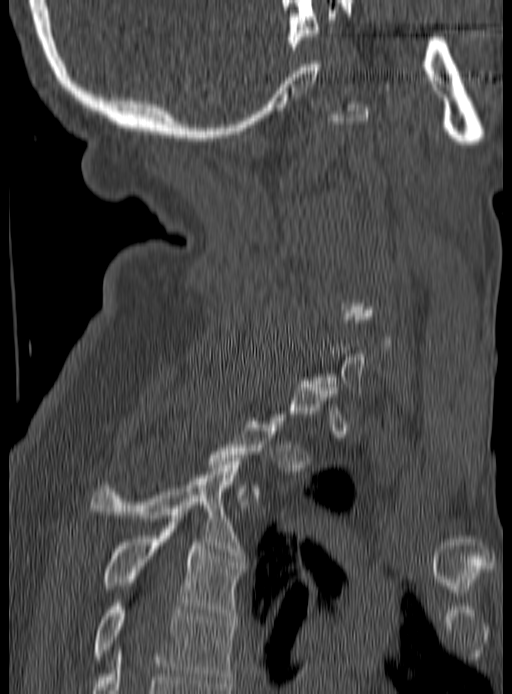
CT, spine — sagittal view — Bone window (WL 400, WW 1800)
Box edges are left/top/right/bottom in pixels.
A vertebra gets a box only on the slices from the first to the last where its cross-section is at least a third of its largest; on a slice outside that range it gets none.
Vertebra bounding boxes:
- T5: left=92, top=603, right=234, bottom=686
- T4: left=103, top=522, right=242, bottom=619
- T3: left=92, top=458, right=242, bottom=558